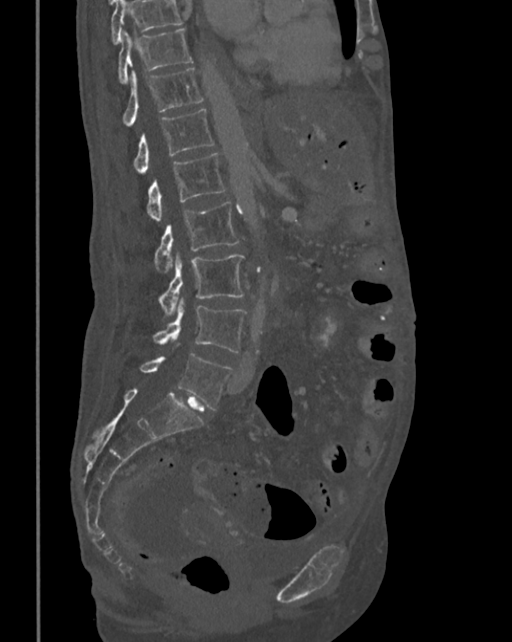

CT. sagittal view. W/L 1800/400 HU. 342 mm image width
Each box given as x1,y1,x2,y2.
No box is given to a vertebra that the top edge of the scan cuts off.
Vertebra bounding boxes:
- T10: x1=117, y1=28, x2=192, y2=83
- T11: x1=121, y1=68, x2=204, y2=125
- T12: x1=133, y1=108, x2=214, y2=173
- L1: x1=146, y1=153, x2=226, y2=221
- L2: x1=154, y1=201, x2=240, y2=271
- L3: x1=158, y1=255, x2=244, y2=313
- L4: x1=152, y1=302, x2=246, y2=353
- L5: x1=139, y1=354, x2=232, y2=410